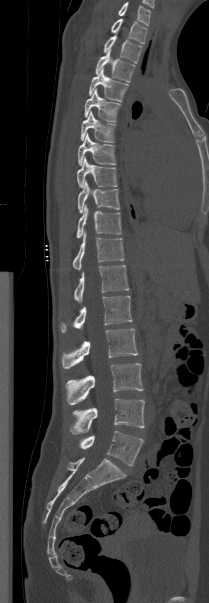

CT spine — sagittal view — 209x603 px

Columns x1, y1, x2, y2 give each box's top-left and bottom-right pixels.
The highest labeled vertebra in this scan is T1; the lowest is L5.
| vertebra | x1 | y1 | x2 | y2 |
|---|---|---|---|---|
| T1 | 111 | 18 | 147 | 43 |
| T2 | 104 | 35 | 142 | 63 |
| T3 | 95 | 50 | 135 | 82 |
| T4 | 89 | 68 | 128 | 101 |
| T5 | 84 | 89 | 120 | 121 |
| T6 | 80 | 111 | 115 | 142 |
| T7 | 78 | 133 | 116 | 165 |
| T8 | 77 | 157 | 117 | 187 |
| T9 | 78 | 181 | 120 | 213 |
| T10 | 76 | 205 | 121 | 238 |
| T11 | 73 | 231 | 124 | 269 |
| T12 | 74 | 265 | 129 | 302 |
| L1 | 60 | 296 | 132 | 332 |
| L2 | 61 | 328 | 138 | 368 |
| L3 | 65 | 363 | 143 | 404 |
| L4 | 70 | 398 | 144 | 434 |
| L5 | 79 | 431 | 143 | 466 |